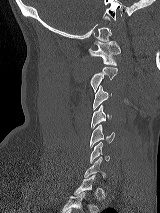 Spine CT · sagittal view · 160x213 px
Each row gives a vertebra's box as x1, y1, x2, y2 in pixels: top-left corner, then bottom-right corner.
A vertebra is boxed only from the first to the last slice where its cross-section is at least a third of its largest; slices outside that range leave it without a box.
| vertebra | x1 | y1 | x2 | y2 |
|---|---|---|---|---|
| C1 | 88 | 41 | 120 | 65 |
| C2 | 90 | 66 | 117 | 92 |
| C3 | 93 | 85 | 111 | 110 |
| C4 | 91 | 105 | 111 | 128 |
| C5 | 90 | 124 | 114 | 147 |
| C6 | 90 | 142 | 110 | 163 |